CT — sagittal view
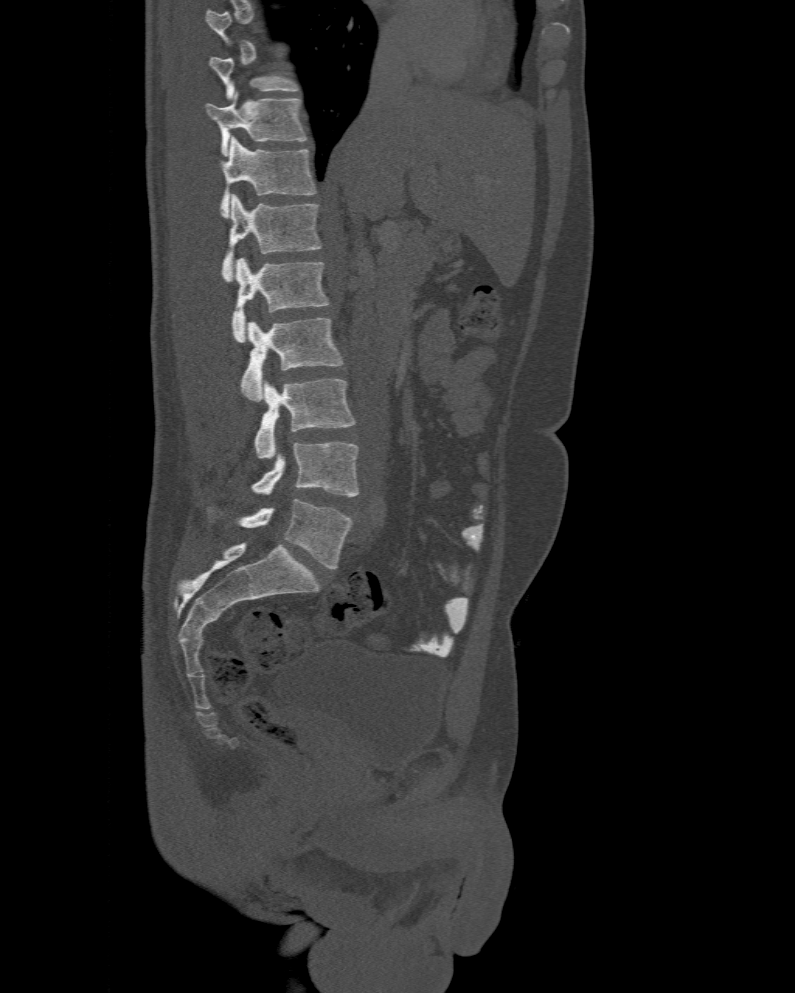

Boxes are given in columns x1, y1, x2, y2, the pixel coordinates of their top-left and bottom-right corners.
Not every vertebra on this slice has a box: a vertebra is boxed only from the first to the last slice where its cross-section is at least a third of its largest, and this slice is outside that range for at least one of them.
The labels name a sixth lumbar vertebra for this spine: L6, after L5.
| vertebra | x1 | y1 | x2 | y2 |
|---|---|---|---|---|
| L6 | 241 | 498 | 353 | 569 |
| L5 | 252 | 442 | 359 | 496 |
| L4 | 255 | 378 | 355 | 459 |
| L3 | 241 | 318 | 342 | 401 |
| L2 | 231 | 258 | 328 | 342 |
| L1 | 220 | 194 | 320 | 281 |
| T12 | 210 | 137 | 316 | 218 |
| T11 | 205 | 93 | 305 | 156 |